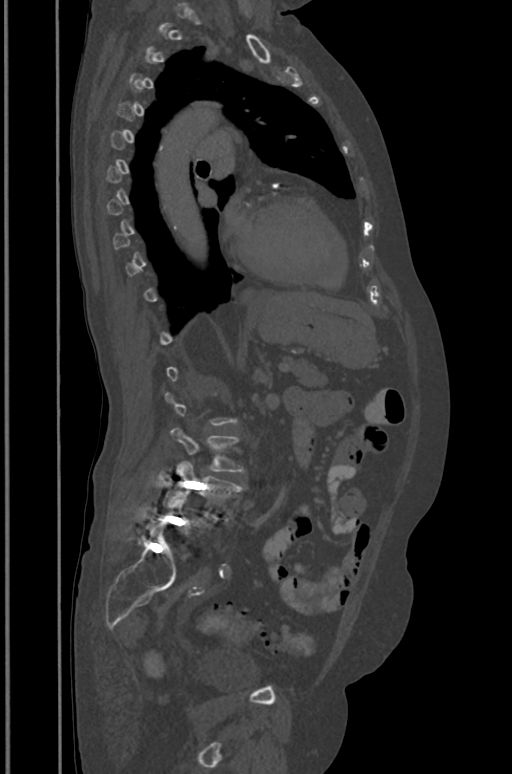 CT spine — sagittal view — the image spans 391 mm across
A vertebra is boxed only from the first to the last slice where its cross-section is at least a third of its largest; slices outside that range leave it without a box.
<vertebrae><v name="L3" x1="170" y1="428" x2="244" y2="472"/><v name="L4" x1="164" y1="462" x2="240" y2="518"/><v name="L5" x1="157" y1="495" x2="207" y2="533"/></vertebrae>